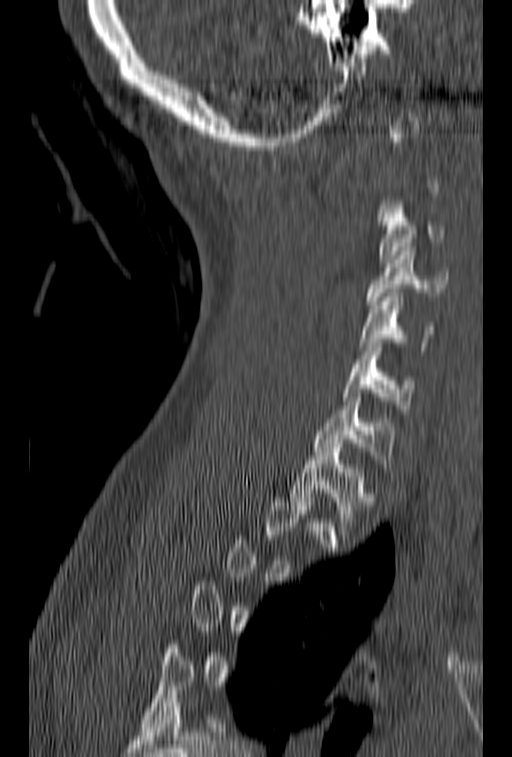 Spine CT — sagittal view
Boxes: x1 y1 x2 y2 (pixel coords, space-separated).
A vertebra gets a box only on the slices from the first to the last where its cross-section is at least a third of its largest; on a slice outside that range it gets none.
Vertebra bounding boxes:
- C3: 378 197 445 263
- C4: 366 247 449 309
- C5: 359 293 435 350
- C6: 343 343 415 413
- C7: 312 393 395 472
- T1: 290 443 375 534